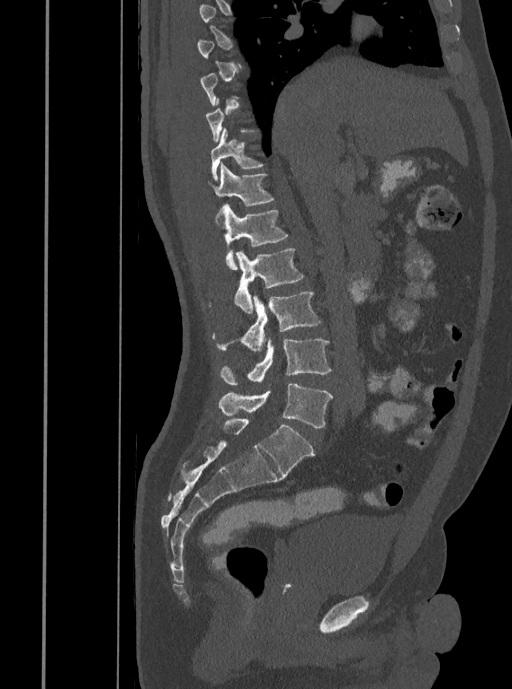 Spine CT · sagittal reformat · bone window · 512x689 px. Each box given as x1,y1,x2,y2.
Each vertebra is boxed only on the slices from the first to the last where its cross-section reaches a third of its largest, so a slice outside that range leaves it unboxed.
T11: x1=211, y1=128, x2=262, y2=180
T12: x1=207, y1=162, x2=274, y2=206
L1: x1=220, y1=204, x2=287, y2=269
L2: x1=234, y1=248, x2=304, y2=313
L3: x1=216, y1=291, x2=320, y2=351
L4: x1=220, y1=337, x2=330, y2=384
L5: x1=218, y1=383, x2=333, y2=427